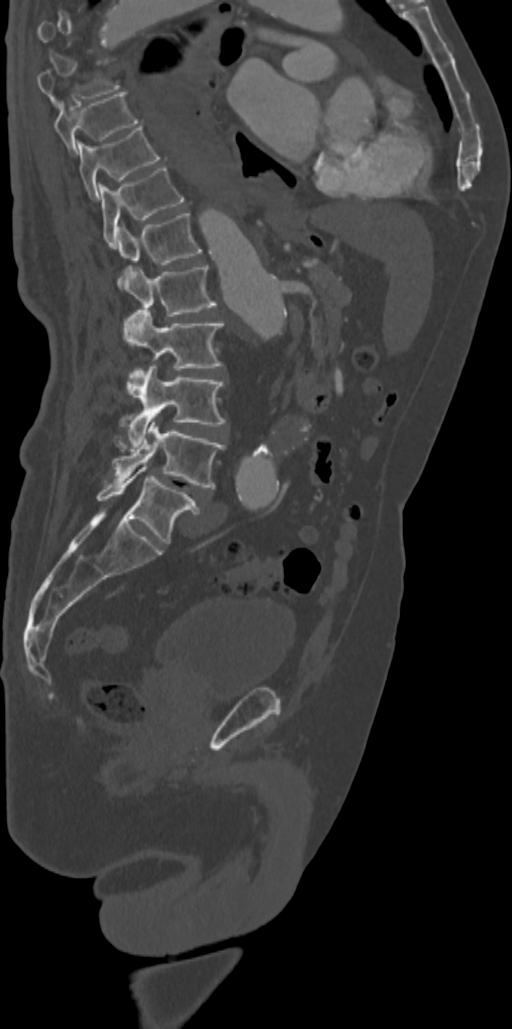
CT spine · sagittal view · bone window · 512x1029 px. Boxes are (x1, y1, x2, y2) in pixels.
A vertebra gets a box only on the slices from the first to the last where its cross-section is at least a third of its largest; on a slice outside that range it gets none.
Vertebra bounding boxes:
- T8: (37, 63, 120, 107)
- T9: (54, 92, 138, 154)
- T10: (78, 126, 159, 199)
- T11: (99, 166, 184, 246)
- T12: (117, 211, 201, 264)
- L1: (118, 265, 216, 316)
- L2: (123, 310, 223, 397)
- L3: (127, 364, 225, 446)
- L4: (112, 420, 225, 489)
- L5: (97, 465, 199, 543)